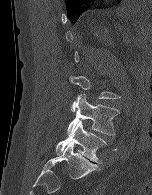

Spine computed tomography. sagittal view
A vertebra gets a box only on the slices from the first to the last where its cross-section is at least a third of its largest; on a slice outside that range it gets none.
<vertebrae><v name="L4" x1="67" y1="94" x2="119" y2="135"/><v name="L5" x1="56" y1="121" x2="106" y2="163"/></vertebrae>